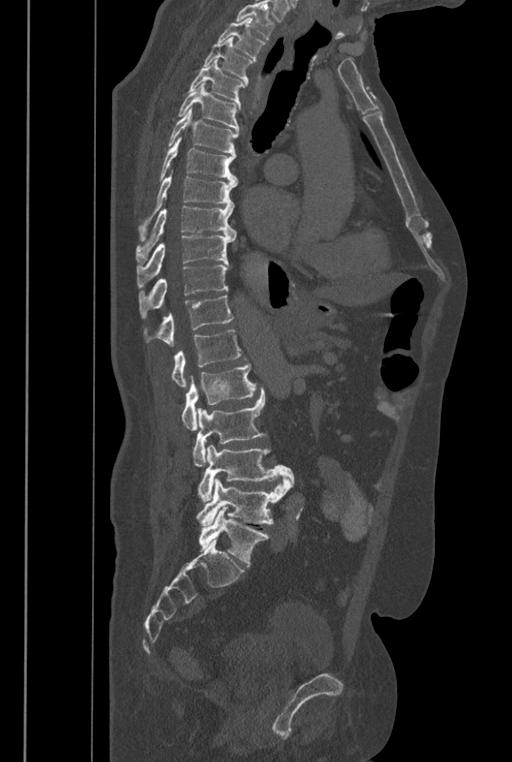 Computed tomography of the spine. sagittal view. 446 mm wide
No box is given to a vertebra that the top edge of the scan cuts off.
The labels name a sixth lumbar vertebra for this spine: L6, after L5.
<vertebrae><v name="T2" x1="218" y1="18" x2="265" y2="60"/><v name="T3" x1="204" y1="37" x2="251" y2="86"/><v name="T4" x1="188" y1="59" x2="245" y2="109"/><v name="T5" x1="178" y1="82" x2="239" y2="133"/><v name="T6" x1="166" y1="107" x2="238" y2="153"/><v name="T7" x1="158" y1="136" x2="238" y2="183"/><v name="T8" x1="138" y1="169" x2="238" y2="241"/><v name="T9" x1="136" y1="206" x2="236" y2="263"/><v name="T10" x1="137" y1="236" x2="234" y2="288"/><v name="T11" x1="139" y1="264" x2="229" y2="318"/><v name="T12" x1="143" y1="295" x2="233" y2="346"/><v name="L1" x1="171" y1="330" x2="246" y2="386"/><v name="L2" x1="181" y1="364" x2="256" y2="430"/><v name="L3" x1="193" y1="388" x2="266" y2="466"/><v name="L4" x1="197" y1="444" x2="294" y2="502"/><v name="L5" x1="196" y1="477" x2="292" y2="526"/><v name="L6" x1="198" y1="506" x2="269" y2="565"/></vertebrae>